Spine computed tomography · Sagittal slice 249/512 · bone window · 10 vertebrae labeled in this scan
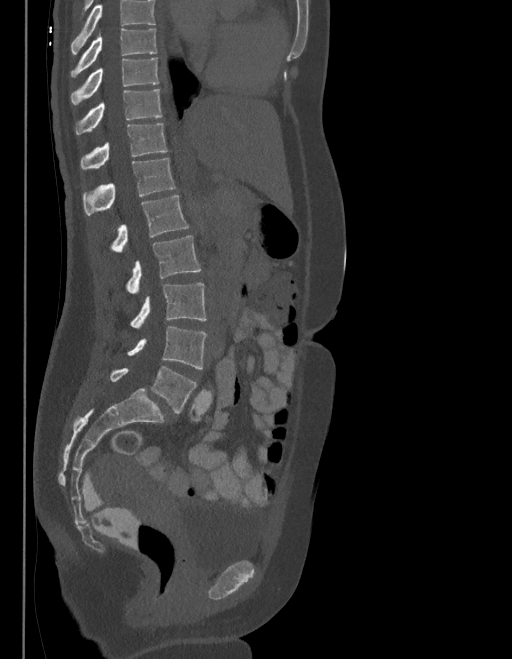

Boxes: x1 y1 x2 y2 (pixel coords, space-separated).
Where the top of the scan cuts through a vertebra, that vertebra gets no label or box.
In these labels the spine has an L6, a sixth lumbar vertebra below L5.
T9: 71 29 156 77
T10: 71 58 158 104
T11: 76 89 161 134
T12: 81 122 167 168
L1: 82 158 174 214
L2: 110 196 188 252
L3: 127 236 200 293
L4: 131 282 206 328
L5: 127 326 206 369
L6: 110 367 196 413